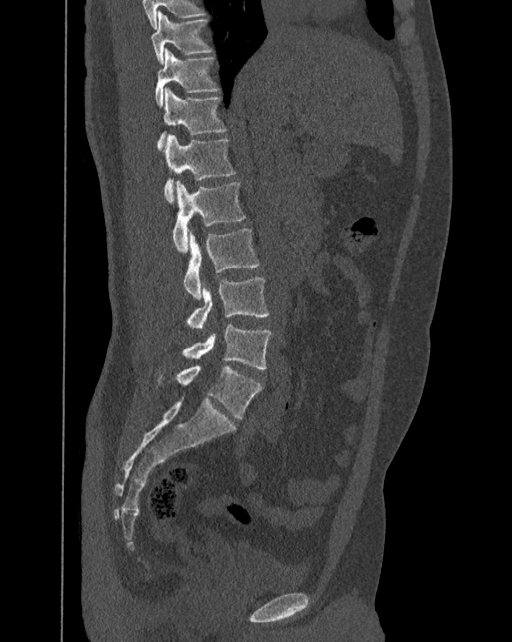 Spine CT; sagittal view; Bone window (WL 400, WW 1800); image 392 mm wide. Bounding boxes as [x1, y1, x2, y2] in pixel coordinates. In these labels the spine has an L6, a sixth lumbar vertebra below L5. The labeled vertebrae in this slice are: T10 at [151, 11, 213, 64], T11 at [155, 48, 220, 107], T12 at [158, 87, 227, 149], L1 at [164, 135, 235, 204], L2 at [172, 181, 246, 252], L3 at [183, 229, 260, 298], L4 at [185, 277, 269, 328], L5 at [181, 324, 272, 369], L6 at [158, 364, 263, 419].